CT spine — image width 350 mm — sagittal view — bone window — some of the image was removed or blocked out with constant pixels
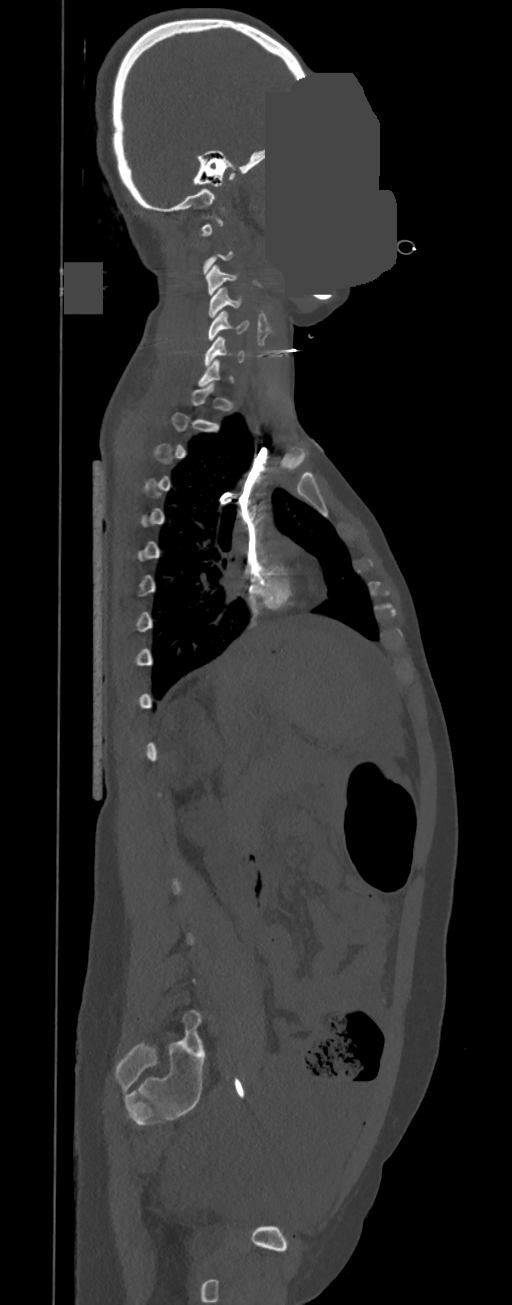 Each box given as x1,y1,x2,y2. Each vertebra is boxed only on the slices from the first to the last where its cross-section reaches a third of its largest, so a slice outside that range leaves it unboxed. Vertebrae labeled: C3 at x1=205, y1=265, x2=237, y2=295, C4 at x1=207, y1=287, x2=242, y2=318, C5 at x1=208, y1=311, x2=249, y2=340, C6 at x1=204, y1=336, x2=244, y2=366.